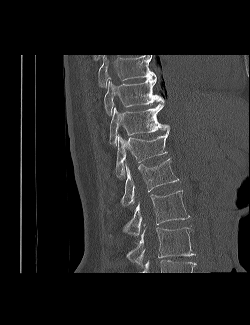 Computed tomography of the spine — sagittal view — the image spans 250 mm across
Coordinates as <box>x1,y1,x2,y2</box>.
Labels in this scan begin with T9 at the top and end with L3 at the bottom.
L3: <box>126,226,195,265</box>
L2: <box>123,190,190,235</box>
L1: <box>121,158,182,206</box>
T12: <box>115,131,169,179</box>
T11: <box>109,104,169,145</box>
T10: <box>104,78,165,115</box>
T9: <box>98,55,156,87</box>